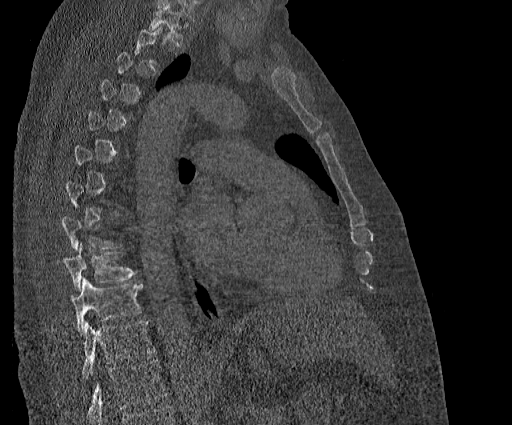

Computed tomography of the spine. sagittal view
Boxes are (x1, y1, x2, y2) in pixels.
A vertebra gets a box only on the slices from the first to the last where its cross-section is at least a third of its largest; on a slice outside that range it gets none.
Labels in this scan begin with T2 at the top and end with T11 at the bottom.
T9: (62, 243, 136, 290)
T10: (70, 279, 143, 332)
T11: (82, 321, 153, 379)